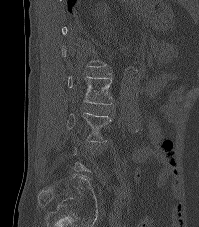

Spine computed tomography · sagittal view · 199x227 px · the image is 199 mm wide. Bounding boxes as [x1, y1, x2, y2] in pixel coordinates. Each vertebra is boxed only on the slices from the first to the last where its cross-section reaches a third of its largest, so a slice outside that range leaves it unboxed. The labeled vertebrae in this slice are: L2 at [68, 76, 113, 104], L3 at [67, 112, 110, 141].